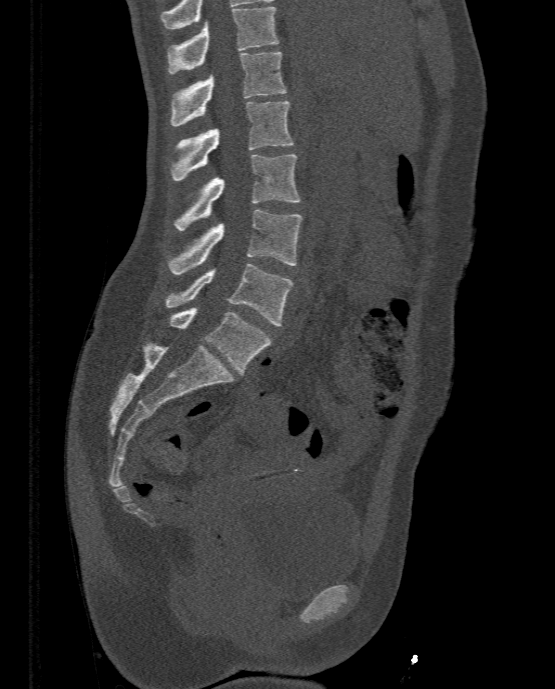
Spine computed tomography — sagittal view — bone window — 555x689 px
<vertebrae><v name="T11" x1="166" y1="6" x2="279" y2="74"/><v name="T12" x1="169" y1="51" x2="287" y2="126"/><v name="L1" x1="171" y1="101" x2="294" y2="180"/><v name="L2" x1="173" y1="154" x2="300" y2="230"/><v name="L3" x1="168" y1="210" x2="303" y2="274"/><v name="L4" x1="165" y1="263" x2="293" y2="325"/><v name="L5" x1="170" y1="307" x2="270" y2="373"/></vertebrae>